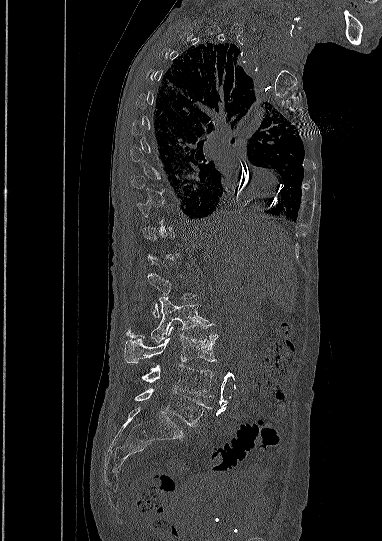 Spine computed tomography · sagittal view
Boxes: x1 y1 x2 y2 (pixel coords, space-separated).
Not every vertebra on this slice has a box: a vertebra is boxed only from the first to the last slice where its cross-section is at least a third of its largest, and this slice is outside that range for at least one of them.
Vertebra bounding boxes:
- L1: 148 273 194 317
- L2: 126 297 211 342
- L3: 124 326 217 362
- L4: 142 364 214 397
- L5: 135 388 211 426